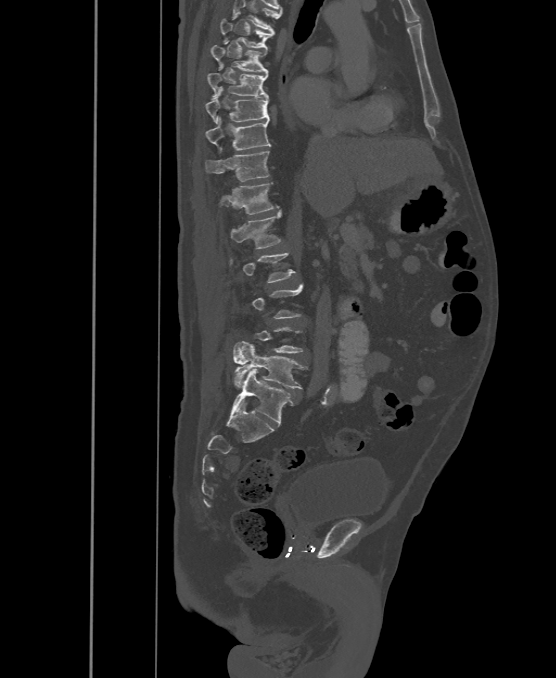
Spine CT. sagittal view. the image is 500 mm wide
Each box is [x1, y1, x2, y2] in pixels: top-left corner, then bottom-right corner.
Not every vertebra on this slice has a box: a vertebra is boxed only from the first to the last slice where its cross-section is at least a third of its largest, and this slice is outside that range for at least one of them.
In this scan, the topmost labeled vertebra is T6 and the lowest is L6.
In these labels the spine has an L6, a sixth lumbar vertebra below L5.
{"vertebrae":{"T6":[220,19,274,48],"T7":[212,41,268,73],"T8":[207,65,268,96],"T9":[205,94,269,123],"T10":[205,118,271,150],"T11":[204,151,269,182],"T12":[219,182,279,214],"L1":[230,211,281,248],"L2":[229,253,294,283],"L5":[233,341,304,388],"L6":[232,369,293,424]}}